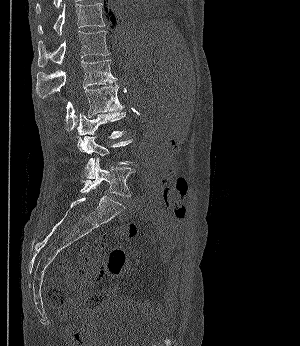
CT. sagittal view. Bone window (WL 400, WW 1800). image 300 mm wide. In the table, x1 and y1 are a box's top-left corner and x2 and y2 its bottom-right corner, in pixels.
| vertebra | x1 | y1 | x2 | y2 |
|---|---|---|---|---|
| T11 | 38 | 2 | 104 | 35 |
| T12 | 38 | 30 | 110 | 67 |
| L1 | 36 | 59 | 115 | 98 |
| L2 | 66 | 85 | 124 | 133 |
| L3 | 77 | 111 | 125 | 138 |
| L4 | 77 | 136 | 132 | 179 |
| L5 | 80 | 158 | 135 | 197 |